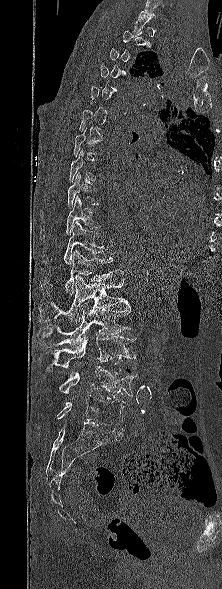 CT, spine. sagittal view. the image is 222 mm wide
Box values are [left, top, right, bottom] in pixels.
A vertebra is boxed only from the first to the last slice where its cross-section is at least a third of its largest; slices outside that range leave it without a box.
{"vertebrae":{"T9":[39,173,99,216],"T10":[41,195,100,235],"T11":[42,221,108,265],"T12":[41,250,123,295],"L1":[38,275,129,324],"L2":[37,302,132,347],"L3":[45,335,136,372],"L4":[59,365,139,397],"L5":[57,395,125,429]}}